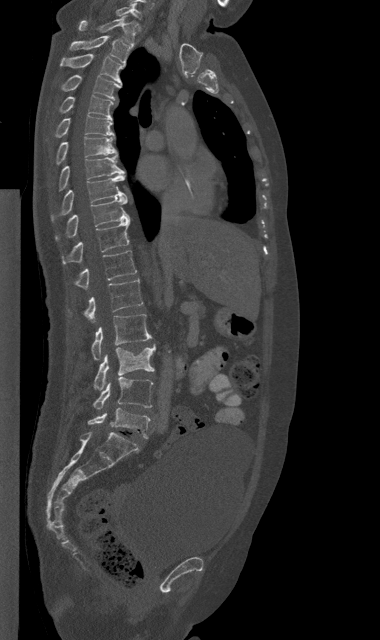
CT. sagittal reformat. 380x640 px. 380 mm image width
Boxes: x1:y1:x2:y2 in pixels.
C7: 116:3:141:18
T1: 78:15:137:44
T2: 70:35:129:65
T3: 61:54:124:84
T4: 61:75:121:99
T5: 60:95:112:118
T6: 55:116:114:137
T7: 56:136:117:164
T8: 58:157:124:190
T9: 51:175:127:221
T10: 55:198:130:240
T11: 62:220:130:263
T12: 75:251:136:289
L1: 83:279:143:322
L2: 91:314:152:360
L3: 94:345:155:390
L4: 93:377:153:409
L5: 88:408:149:438